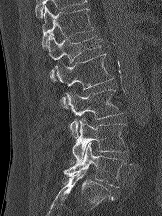 Computed tomography of the spine. sagittal view. 162x216 px

Each box given as x1,y1,x2,y2. The labeled vertebrae in this slice are: T12 at x1=41, y1=4, x2=94, y2=49, L1 at x1=48, y1=33, x2=101, y2=82, L2 at x1=55, y1=53, x2=113, y2=108, L3 at x1=64, y1=89, x2=123, y2=138, L4 at x1=72, y1=118, x2=128, y2=161, L5 at x1=62, y1=142, x2=125, y2=187.